CT; sagittal view; Bone window (WL 400, WW 1800); 123 mm across the image
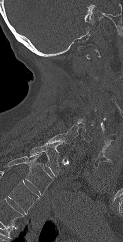

Box edges are left/top/right/bottom in pixels.
Not every vertebra on this slice has a box: a vertebra is boxed only from the first to the last slice where its cross-section is at least a third of its largest, and this slice is outside that range for at least one of them.
Labels in this scan begin with C1 at the top and end with T1 at the bottom.
| vertebra | x1 | y1 | x2 | y2 |
|---|---|---|---|---|
| C6 | 65 | 123 | 89 | 142 |
| C7 | 46 | 133 | 76 | 145 |
| T1 | 30 | 143 | 59 | 176 |